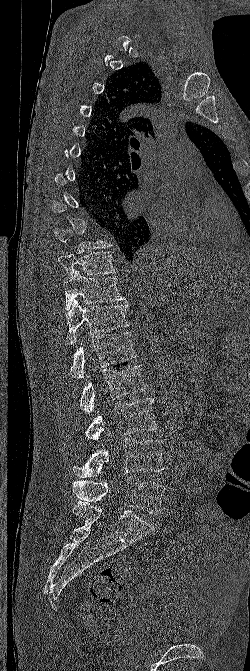 Computed tomography of the spine. 250 mm image width. sagittal reformat. 250x671 px

Box edges are left/top/right/bottom in pixels.
Not every vertebra on this slice has a box: a vertebra is boxed only from the first to the last slice where its cross-section is at least a third of its largest, and this slice is outside that range for at least one of them.
L5: left=73, top=476, right=165, bottom=513
L4: left=73, top=438, right=165, bottom=477
L3: left=84, top=398, right=158, bottom=440
L2: left=79, top=365, right=146, bottom=413
L1: left=70, top=332, right=136, bottom=378
T12: left=63, top=299, right=129, bottom=344
T11: left=63, top=270, right=126, bottom=310
T10: left=58, top=251, right=117, bottom=276